CT spine · sagittal plane, index 269 · image 363 mm wide · W/L 1800/400 HU · 512x612 px · scan covers 7 annotated vertebrae
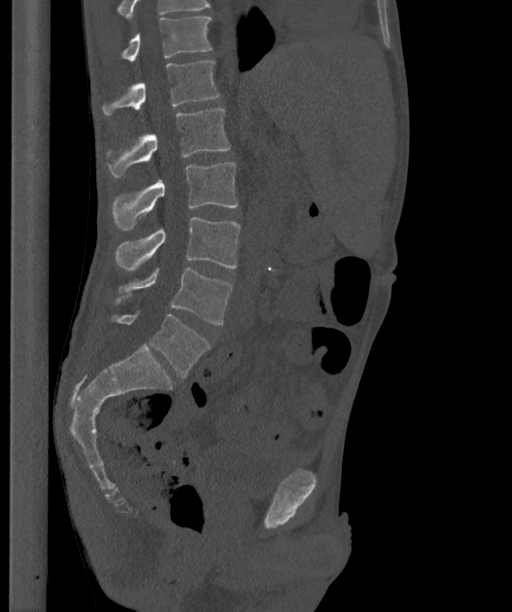
Each box is [x1, y1, x2, y2] in pixels: top-left corner, then bottom-right corner.
The highest labeled vertebra in this scan is T12; the lowest is L6.
In these labels the spine has an L6, a sixth lumbar vertebra below L5.
{"vertebrae":{"T12":[123,17,212,61],"L1":[103,61,219,115],"L2":[108,108,230,178],"L3":[113,162,237,230],"L4":[115,217,240,271],"L5":[114,268,232,324],"L6":[111,311,209,377]}}